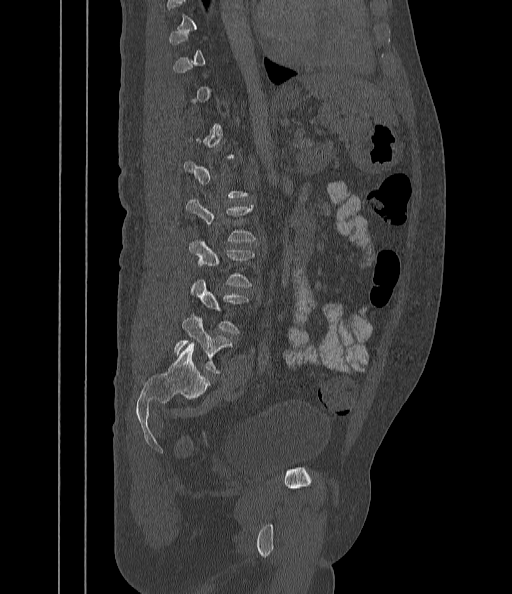

Spine computed tomography · sagittal reformat · bone window. Coordinates as <box>x1,y1,x2,y2</box>.
A vertebra gets a box only on the slices from the first to the last where its cross-section is at least a third of its largest; on a slice outside that range it gets none.
L3: <box>189,240,255,287</box>
L4: <box>191,280,249,334</box>
L5: <box>174,314,232,373</box>